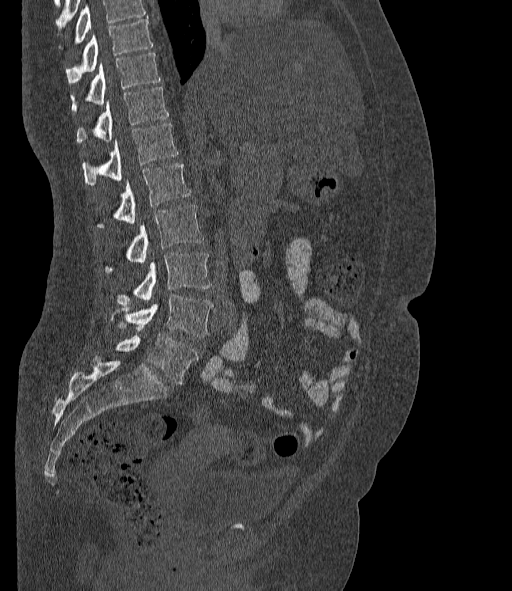 CT, spine — sagittal reformat
Boxes are given in columns x1, y1, x2, y2, the pixel coordinates of their top-left and bottom-right corners.
Where the top of the scan cuts through a vertebra, that vertebra gets no label or box.
The labels name a sixth lumbar vertebra for this spine: L6, after L5.
| vertebra | x1 | y1 | x2 | y2 |
|---|---|---|---|---|
| T10 | 66 | 18 | 152 | 83 |
| T11 | 70 | 53 | 160 | 110 |
| T12 | 77 | 87 | 169 | 143 |
| L1 | 83 | 124 | 178 | 185 |
| L2 | 98 | 163 | 190 | 227 |
| L3 | 106 | 205 | 203 | 271 |
| L4 | 117 | 253 | 211 | 306 |
| L5 | 119 | 295 | 212 | 337 |
| L6 | 115 | 334 | 198 | 383 |